Computed tomography of the spine. sagittal view. 287 mm wide. 11 vertebrae labeled in this scan
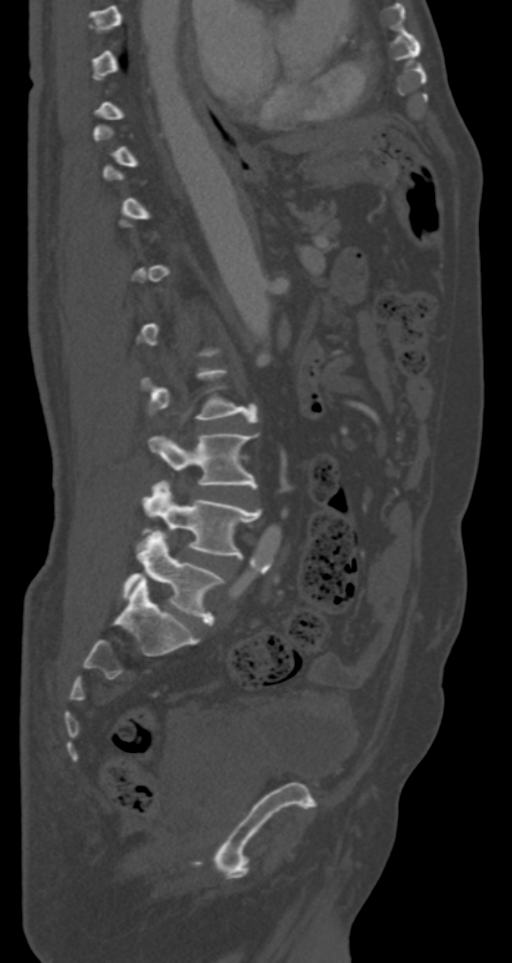 Each box given as x1,y1,x2,y2. Not every vertebra on this slice has a box: a vertebra is boxed only from the first to the last slice where its cross-section is at least a third of its largest, and this slice is outside that range for at least one of them. The labeled vertebrae in this slice are: L5 at x1=123, y1=529, x2=223, y2=625, L4 at x1=144, y1=481, x2=261, y2=557, L3 at x1=149, y1=433, x2=257, y2=487.